CT spine; sagittal view; bone window
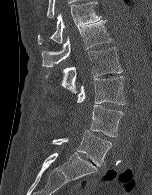 Bounding boxes as [x1, y1, x2, y2] in pixel coordinates. The labeled vertebrae in this slice are: L5 at [52, 130, 111, 166], L4 at [90, 105, 123, 136], L3 at [77, 76, 125, 105], L2 at [45, 47, 122, 94], L1 at [41, 20, 112, 66], T12 at [37, 1, 101, 44].